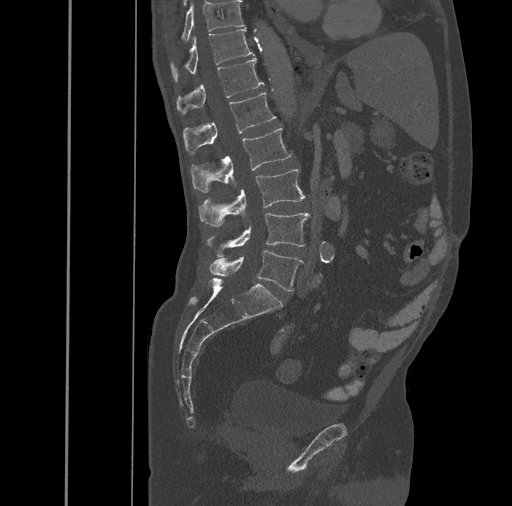

Spine CT · sagittal reformat. Each box given as x1,y1,x2,y2.
T10: x1=182, y1=1, x2=244, y2=41
T11: x1=170, y1=28, x2=253, y2=81
T12: x1=177, y1=57, x2=263, y2=114
L1: x1=183, y1=93, x2=276, y2=153
L2: x1=191, y1=127, x2=292, y2=192
L3: x1=199, y1=169, x2=305, y2=226
L4: x1=206, y1=213, x2=308, y2=257
L5: x1=209, y1=251, x2=303, y2=291